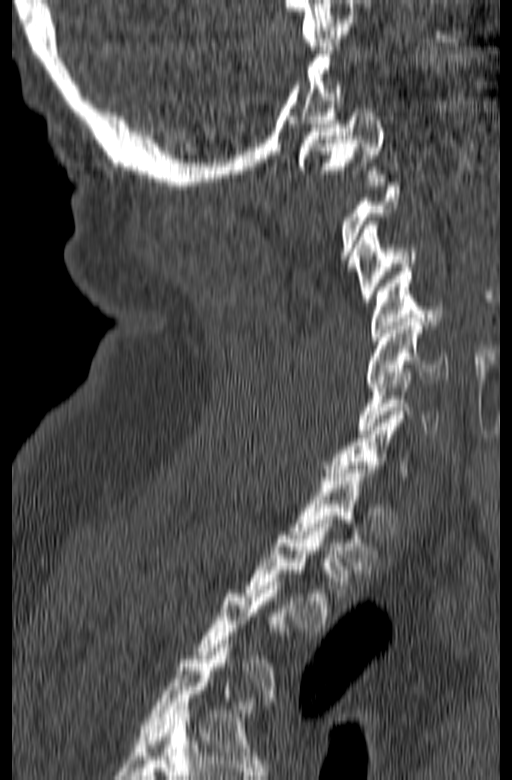

CT, spine. sagittal view. bone-window reconstruction
Boxes: x1:y1:x2:y2 in pixels.
Not every vertebra on this slice has a box: a vertebra is boxed only from the first to the last slice where its cross-section is at least a third of its largest, and this slice is outside that range for at least one of them.
C1: 298:105:385:177
C3: 352:221:419:302
C4: 370:268:442:340
C5: 367:318:448:387
C6: 358:368:439:433
T1: 290:465:378:569
T2: 245:520:349:631